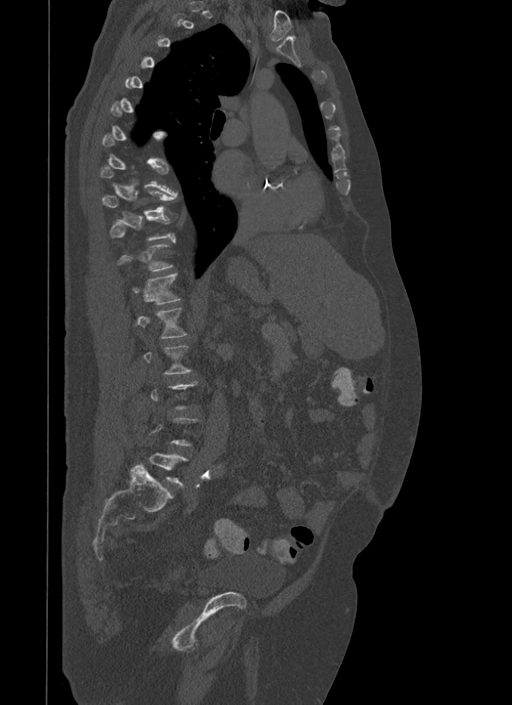 Spine CT — image 500 mm wide — sagittal reformat
A vertebra is boxed only from the first to the last slice where its cross-section is at least a third of its largest; slices outside that range leave it without a box.
<vertebrae><v name="T10" x1="109" y1="212" x2="178" y2="240"/><v name="T12" x1="133" y1="273" x2="180" y2="304"/></vertebrae>